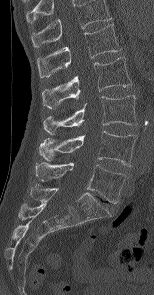
Computed tomography of the spine. the image is 154 mm wide. sagittal view. Bone window (WL 400, WW 1800)
Boxes: x1 y1 x2 y2 (pixel coords, space-separated).
The highest labeled vertebra in this scan is L1; the lowest is L5.
L5: 36 162 127 203
L4: 39 131 136 166
L3: 43 95 137 134
L2: 42 57 131 108
L1: 37 24 121 77